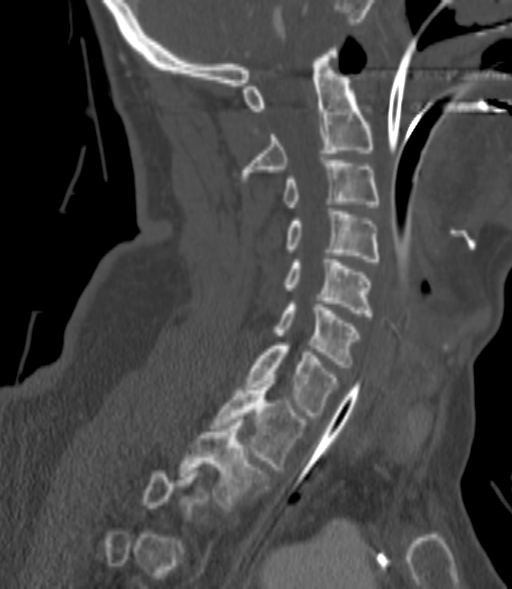 Spine computed tomography · sagittal view
Coordinates as <box>x1,y1,x2,y2</box>.
Not every vertebra on this slice has a box: a vertebra is boxed only from the first to the last slice where its cross-section is at least a third of its largest, and this slice is outside that range for at least one of them.
C2: <box>241,48,374,181</box>
C3: <box>282,160,379,207</box>
C4: <box>285,211,379,261</box>
C5: <box>282,259,371,316</box>
C6: <box>275,301,361,367</box>
C7: <box>247,342,338,418</box>
T1: <box>211,378,304,469</box>
T2: <box>180,419,269,511</box>